Spine computed tomography; sagittal view
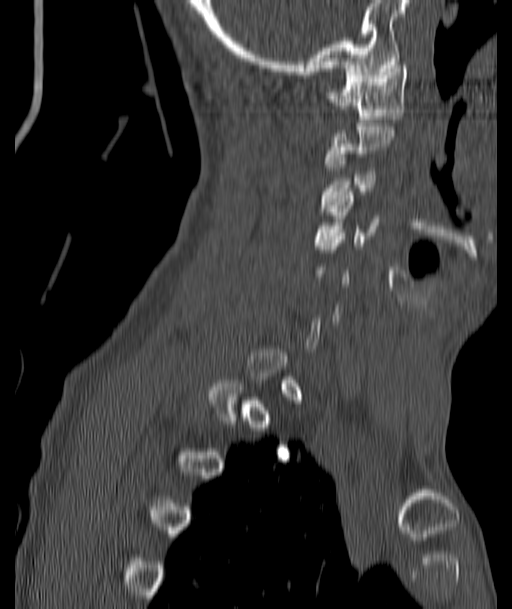 Boxes are given in columns x1, y1, x2, y2, the pixel coordinates of their top-left and bottom-right corners.
Not every vertebra on this slice has a box: a vertebra is boxed only from the first to the last slice where its cross-section is at least a third of its largest, and this slice is outside that range for at least one of them.
| vertebra | x1 | y1 | x2 | y2 |
|---|---|---|---|---|
| C1 | 327 | 65 | 408 | 122 |
| C3 | 321 | 151 | 375 | 208 |
| C4 | 316 | 192 | 378 | 245 |